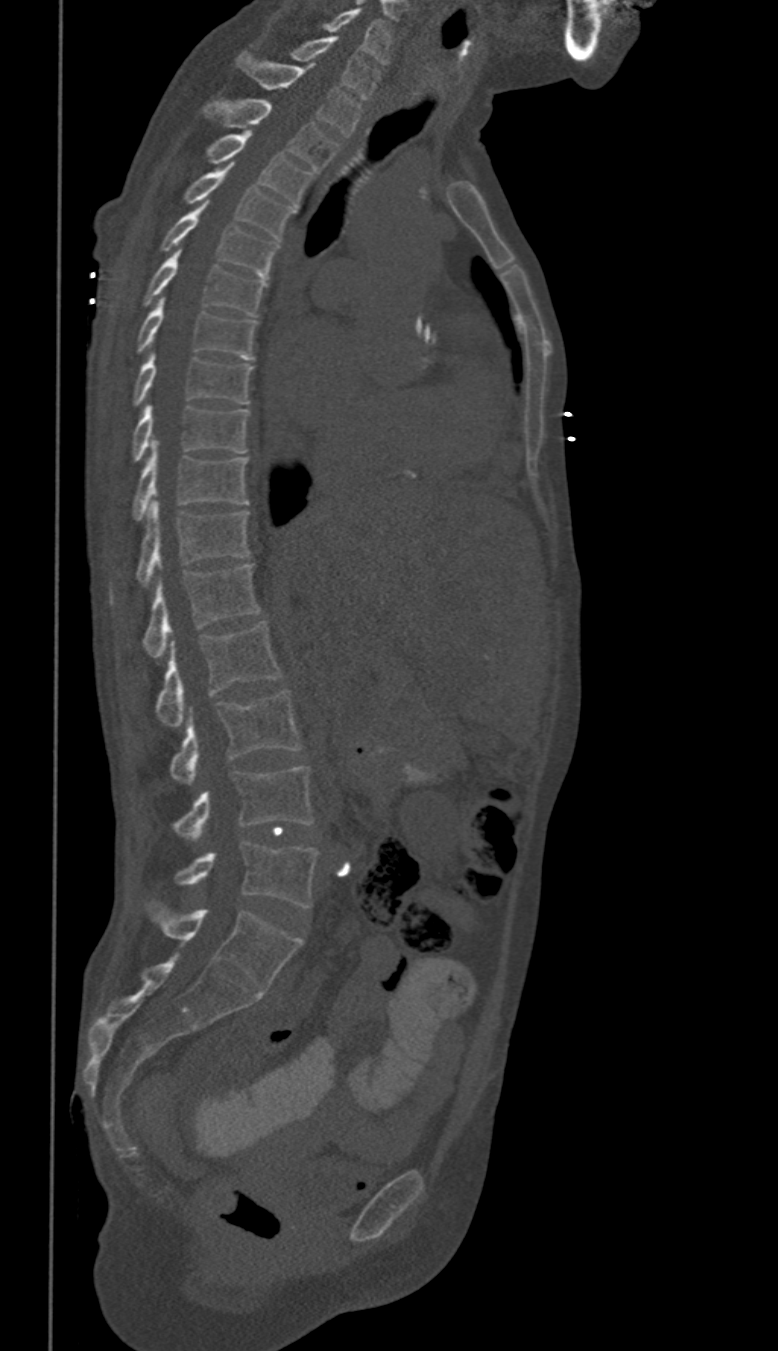
Spine computed tomography — sagittal reformat — W/L 1800/400 HU — 778x1351 px
Boxes are given in columns x1, y1, x2, y2, the pixel coordinates of their top-left and bottom-right corners.
In these labels the thoracic vertebrae end at T11, so L1 follows T11.
| vertebra | x1 | y1 | x2 | y2 |
|---|---|---|---|---|
| L5 | 175 | 840 | 318 | 906 |
| L4 | 170 | 767 | 312 | 839 |
| L3 | 169 | 692 | 301 | 782 |
| L2 | 155 | 620 | 282 | 726 |
| L1 | 141 | 563 | 259 | 657 |
| T11 | 135 | 500 | 250 | 586 |
| T10 | 134 | 443 | 248 | 519 |
| T9 | 131 | 405 | 250 | 462 |
| T8 | 134 | 352 | 253 | 406 |
| T7 | 137 | 298 | 254 | 359 |
| T6 | 141 | 249 | 268 | 315 |
| T5 | 160 | 203 | 279 | 277 |
| T4 | 182 | 165 | 297 | 239 |
| T3 | 204 | 132 | 312 | 204 |
| T2 | 202 | 98 | 339 | 171 |
| T1 | 237 | 52 | 361 | 135 |
| C7 | 293 | 36 | 379 | 99 |
| C6 | 327 | 8 | 389 | 64 |